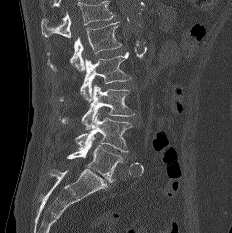
CT; sagittal view; bone window
A vertebra cut off by the top edge of the scan is not labeled and has no box.
<vertebrae><v name="L1" x1="47" y1="21" x2="121" y2="71"/><v name="L2" x1="59" y1="52" x2="130" y2="101"/><v name="L3" x1="61" y1="85" x2="134" y2="129"/><v name="L4" x1="75" y1="112" x2="132" y2="153"/><v name="L5" x1="67" y1="137" x2="122" y2="182"/></vertebrae>